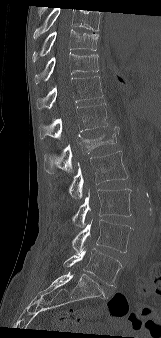

Spine computed tomography — sagittal view — 161 mm image width — 161x338 px
Each vertebra maps to its box as [x1, y1, x2, y2], the pixel coordinates of its top-left and bottom-right corners.
Vertebrae that run past the top of the scan are left unlabeled.
{"vertebrae":{"T9":[32,29,98,61],"T10":[35,52,98,83],"T11":[37,76,103,108],"T12":[40,103,107,139],"L1":[44,126,118,173],"L2":[50,151,127,198],"L3":[72,188,131,227],"L4":[71,219,132,253],"L5":[63,248,121,285]}}